CT — sagittal plane, index 90 — scan covers 19 annotated vertebrae
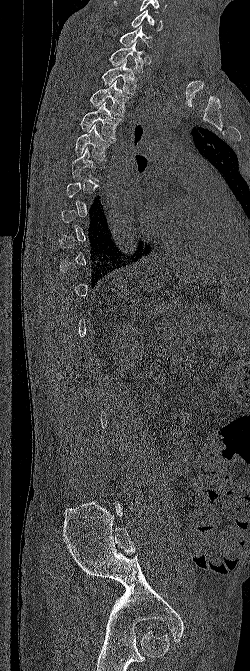
Box edges are left/top/right/bottom in pixels. Not every vertebra on this slice has a box: a vertebra is boxed only from the first to the last slice where its cross-section is at least a third of its largest, and this slice is outside that range for at least one of them. The highest labeled vertebra in this scan is C6; the lowest is L5. Vertebrae labeled: C6 at left=130, top=10, right=163, bottom=30, C7 at left=119, top=26, right=152, bottom=47, T1 at left=109, top=42, right=144, bottom=73, T2 at left=102, top=61, right=137, bottom=94, T3 at left=89, top=81, right=131, bottom=116, T4 at left=79, top=102, right=123, bottom=139, T5 at left=75, top=124, right=114, bottom=160, T6 at left=72, top=147, right=98, bottom=181.